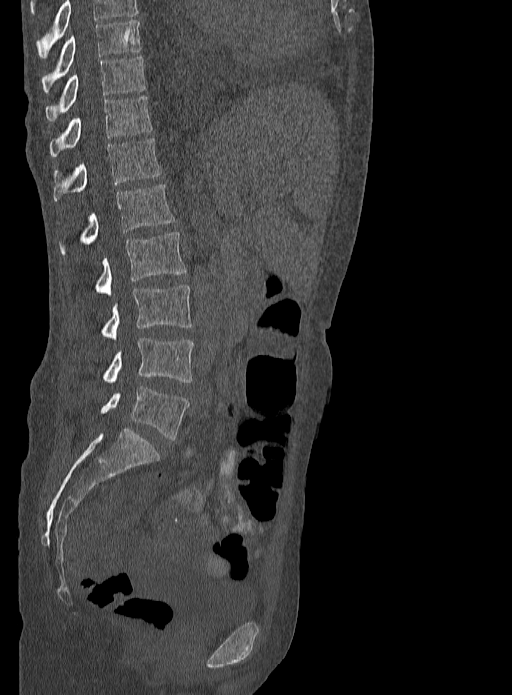

CT, spine; sagittal view; Bone window (WL 400, WW 1800)

This scan's labels start at T9 at the top and end at L5 at the bottom.
<vertebrae><v name="T9" x1="41" y1="20" x2="140" y2="93"/><v name="T10" x1="46" y1="55" x2="145" y2="120"/><v name="T11" x1="49" y1="95" x2="152" y2="156"/><v name="T12" x1="54" y1="138" x2="160" y2="200"/><v name="L1" x1="60" y1="185" x2="174" y2="254"/><v name="L2" x1="95" y1="232" x2="186" y2="296"/><v name="L3" x1="101" y1="284" x2="192" y2="340"/><v name="L4" x1="103" y1="338" x2="194" y2="383"/><v name="L5" x1="101" y1="386" x2="189" y2="440"/></vertebrae>